Computed tomography of the spine · sagittal view · 350x440 px · 17 vertebrae labeled in this scan · 350 mm wide
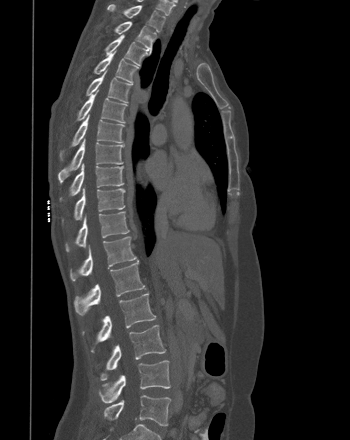

Box edges are left/top/right/bottom in pixels.
| vertebra | x1 | y1 | x2 | y2 |
|---|---|---|---|---|
| T1 | 108 | 5 | 165 | 31 |
| T2 | 114 | 21 | 156 | 52 |
| T3 | 105 | 35 | 147 | 65 |
| T4 | 94 | 51 | 138 | 82 |
| T5 | 86 | 71 | 131 | 102 |
| T6 | 77 | 91 | 126 | 122 |
| T7 | 59 | 115 | 124 | 160 |
| T8 | 58 | 139 | 124 | 183 |
| T9 | 60 | 163 | 123 | 200 |
| T10 | 62 | 187 | 125 | 221 |
| T11 | 65 | 211 | 129 | 251 |
| T12 | 70 | 236 | 136 | 281 |
| L1 | 74 | 260 | 145 | 315 |
| L2 | 82 | 293 | 156 | 351 |
| L3 | 100 | 325 | 165 | 380 |
| L4 | 99 | 360 | 170 | 403 |
| L5 | 104 | 395 | 170 | 426 |